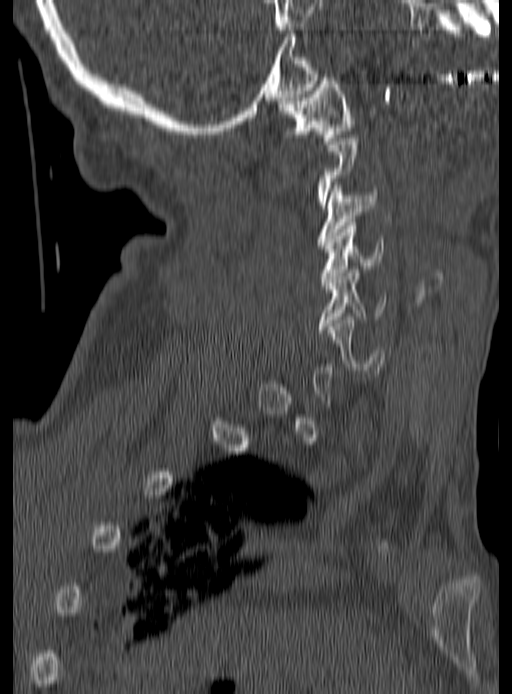
Spine CT — sagittal view — 512x694 px — 190 mm across the image. Boxes: x1:y1:x2:y2 in pixels.
Not every vertebra on this slice has a box: a vertebra is boxed only from the first to the last slice where its cross-section is at least a third of its largest, and this slice is outside that range for at least one of them.
Vertebra bounding boxes:
- C1: 279:74:354:144
- C3: 317:182:378:245
- C4: 319:222:383:285
- C5: 318:269:387:332
- C6: 327:317:385:376